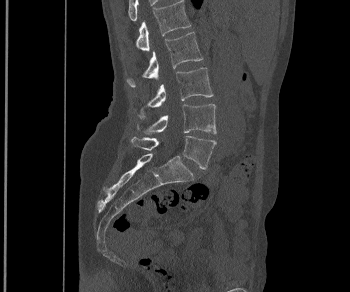

Spine CT. sagittal view. Bounding boxes as [x1, y1, x2, y2] in pixel coordinates.
Vertebra bounding boxes:
- L1: [136, 0, 191, 50]
- L2: [126, 32, 202, 87]
- L3: [136, 67, 213, 118]
- L4: [137, 104, 216, 134]
- L5: [131, 136, 216, 169]